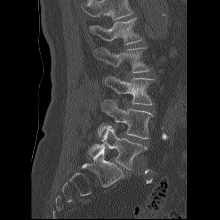 CT — sagittal view — 220 mm across the image
Where the top of the scan cuts through a vertebra, that vertebra gets no label or box.
<vertebrae><v name="L1" x1="89" y1="17" x2="142" y2="44"/><v name="L2" x1="93" y1="46" x2="150" y2="72"/><v name="L3" x1="104" y1="76" x2="155" y2="105"/><v name="L4" x1="98" y1="100" x2="153" y2="139"/><v name="L5" x1="89" y1="125" x2="147" y2="170"/></vertebrae>